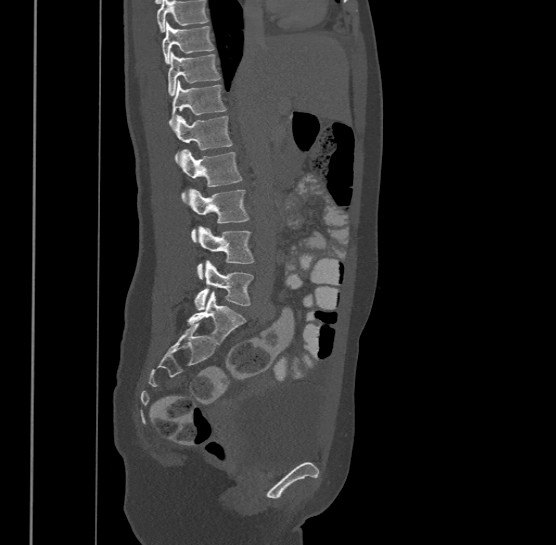

Spine CT. sagittal view. image width 500 mm
Bounding boxes as [x1, y1, x2, y2] in pixel coordinates.
Where the top of the scan cuts through a vertebra, that vertebra gets no label or box.
The highest labeled vertebra in this scan is T9; the lowest is L4.
T9: [162, 21, 214, 62]
T10: [168, 51, 220, 94]
T11: [169, 80, 226, 125]
T12: [174, 114, 232, 161]
L1: [179, 148, 242, 201]
L2: [189, 188, 249, 241]
L3: [196, 225, 253, 278]
L4: [194, 260, 253, 310]